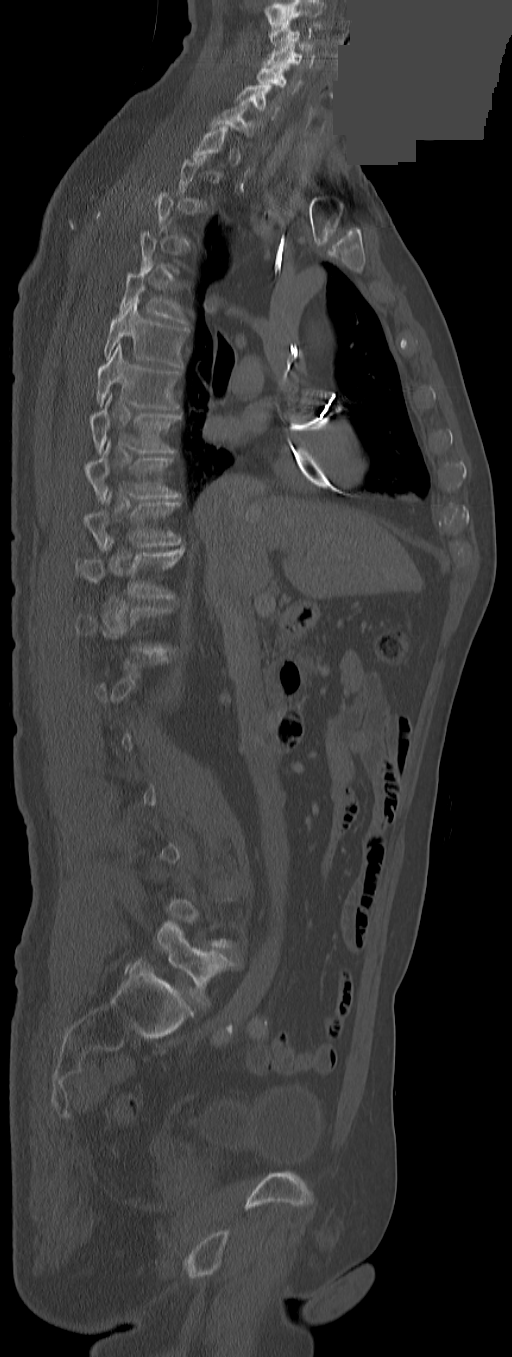

Spine computed tomography; sagittal view; W/L 1800/400 HU; a portion of the image is blanked out (constant pixel value)
Boxes: x1 y1 x2 y2 (pixel coords, space-separated).
A vertebra gets a box only on the slices from the first to the last where its cross-section is at least a third of its largest; on a slice outside that range it gets none.
This scan's labels start at C3 at the top and end at L5 at the bottom.
L5: 157 921 232 1004
T11: 74 537 182 598
T10: 83 491 182 549
T9: 85 440 181 501
T8: 90 395 181 452
T7: 95 342 179 409
T6: 104 296 188 367
T5: 120 265 188 325
C7: 212 102 258 137
C6: 235 84 279 117
C5: 257 62 289 87
C4: 267 43 302 64
C3: 270 25 312 53